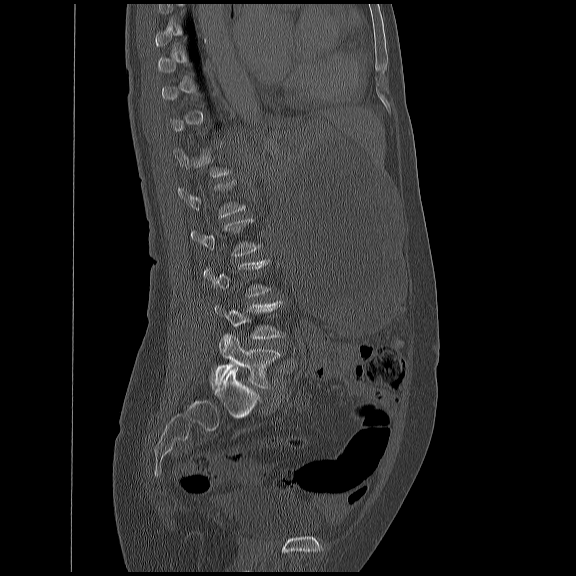

CT, spine — sagittal view — 450 mm image width. Boxes are given in columns x1, y1, x2, y2, the pixel coordinates of their top-left and bottom-right corners.
Not every vertebra on this slice has a box: a vertebra is boxed only from the first to the last slice where its cross-section is at least a third of its largest, and this slice is outside that range for at least one of them.
| vertebra | x1 | y1 | x2 | y2 |
|---|---|---|---|---|
| L5 | 209 | 334 | 280 | 387 |
| L4 | 213 | 301 | 284 | 339 |
| L2 | 190 | 217 | 261 | 256 |